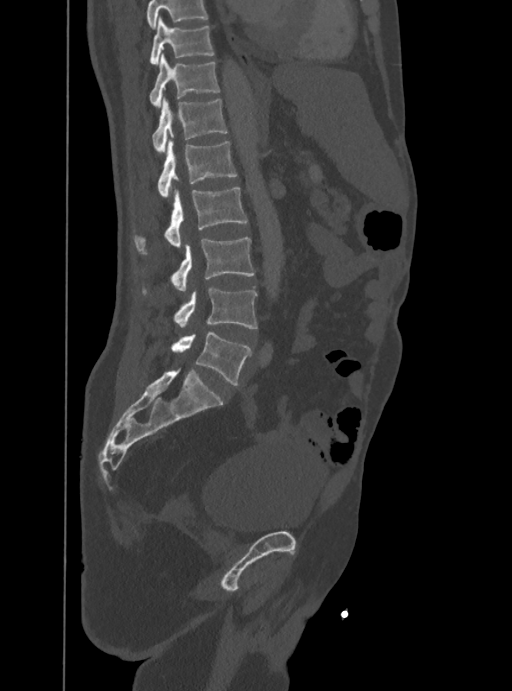

Spine CT. sagittal view. 512x691 px. Columns x1, y1, x2, y2 give each box's top-left and bottom-right pixels.
A vertebra cut off by the top edge of the scan is not labeled and has no box.
| vertebra | x1 | y1 | x2 | y2 |
|---|---|---|---|---|
| L5 | 171 | 333 | 250 | 385 |
| L4 | 174 | 287 | 257 | 329 |
| L3 | 171 | 238 | 254 | 290 |
| L2 | 134 | 188 | 247 | 252 |
| L1 | 158 | 139 | 236 | 199 |
| T12 | 153 | 96 | 227 | 153 |
| T11 | 150 | 53 | 219 | 107 |
| T10 | 150 | 17 | 214 | 64 |